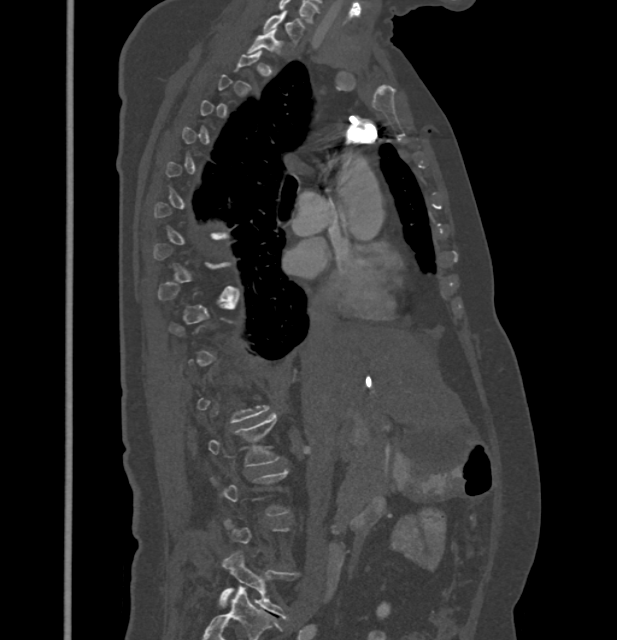

CT spine · sagittal view · bone-window reconstruction

Boxes: x1 y1 x2 y2 (pixel coords, space-separated).
A vertebra is boxed only from the first to the last slice where its cross-section is at least a third of its largest; slices outside that range leave it without a box.
C7: 263 12 303 45
T1: 247 29 282 52
L2: 209 413 280 466
L5: 219 552 298 618